Spine CT — 257 mm wide — sagittal plane, index 123 — W/L 1800/400 HU — 257x214 px — a portion of the image is blanked out (constant pixel value)
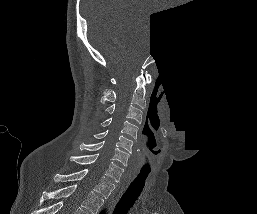
Each box is [x1, y1, x2, y2] in pixels: top-left corner, then bottom-right corner.
In this scan, the topmost labeled vertebra is C1 and the lowest is T1.
{"vertebrae":{"C1":[111,71,151,84],"C2":[101,69,145,108],"C3":[105,103,142,123],"C4":[100,117,138,138],"C5":[93,130,133,153],"C6":[79,141,129,166],"C7":[70,153,123,182],"T1":[54,169,115,198]}}